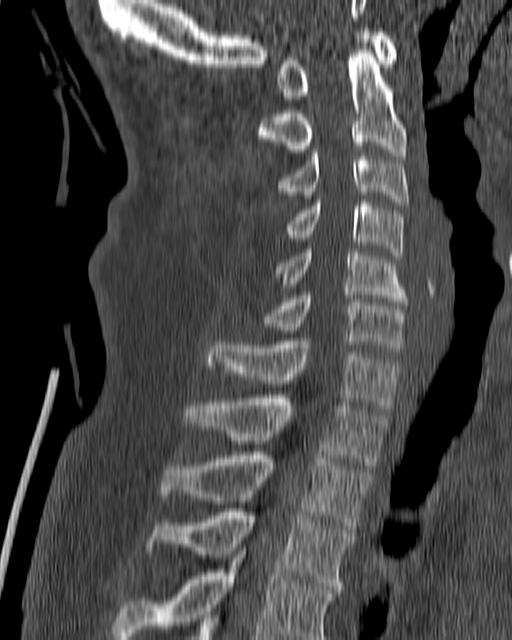

CT, spine. sagittal view
<vertebrae><v name="T4" x1="113" y1="548" x2="336" y2="639"/><v name="T3" x1="145" y1="508" x2="353" y2="589"/><v name="T2" x1="160" y1="452" x2="370" y2="529"/><v name="T1" x1="183" y1="395" x2="387" y2="465"/><v name="C7" x1="206" y1="341" x2="401" y2="411"/><v name="C6" x1="243" y1="292" x2="409" y2="347"/><v name="C5" x1="274" y1="249" x2="408" y2="305"/><v name="C4" x1="285" y1="199" x2="404" y2="259"/><v name="C3" x1="277" y1="149" x2="409" y2="205"/><v name="C2" x1="257" y1="50" x2="407" y2="155"/><v name="C1" x1="279" y1="28" x2="397" y2="102"/></vertebrae>